CT, spine · sagittal plane, index 283 · W/L 1800/400 HU · 512x681 px · image 140 mm wide
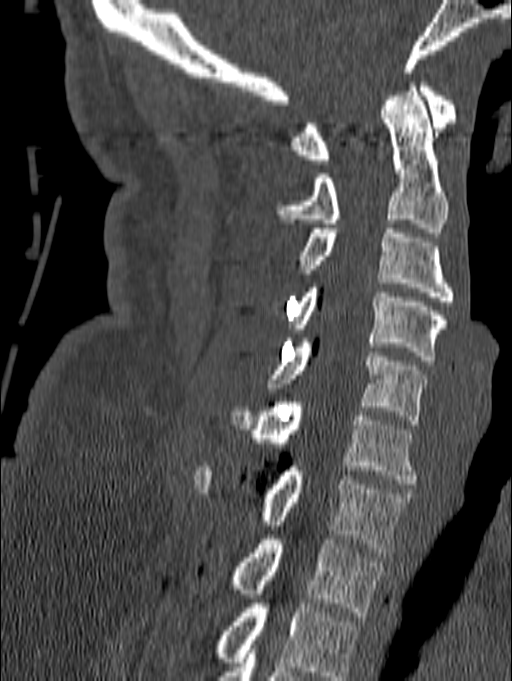

Bounding boxes as [x1, y1, x2, y2] in pixel coordinates.
This scan's labels start at C1 at the top and end at T1 at the bottom.
Vertebra bounding boxes:
- T1: [231, 535, 384, 616]
- C7: [195, 466, 414, 557]
- C6: [231, 402, 419, 484]
- C5: [268, 338, 432, 424]
- C4: [290, 283, 447, 360]
- C3: [298, 229, 454, 305]
- C2: [276, 82, 447, 232]
- C1: [290, 78, 456, 164]